Computed tomography of the spine; sagittal reformat; Bone window (WL 400, WW 1800); image 140 mm wide; 12 vertebrae labeled in this scan
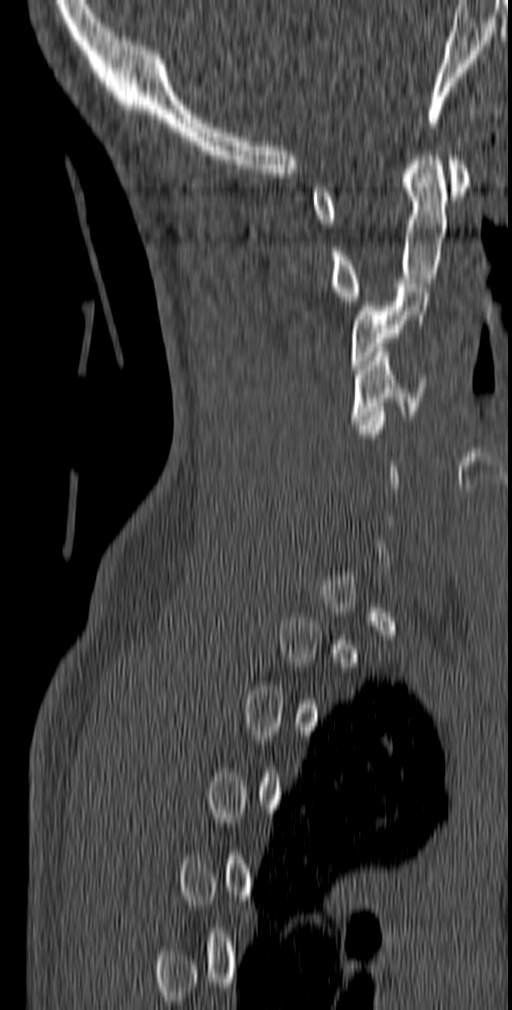

A vertebra gets a box only on the slices from the first to the last where its cross-section is at least a third of its largest; on a slice outside that range it gets none.
<vertebrae><v name="C1" x1="311" y1="155" x2="469" y2="228"/><v name="C2" x1="330" y1="151" x2="447" y2="301"/><v name="C3" x1="351" y1="283" x2="431" y2="369"/><v name="C4" x1="350" y1="347" x2="427" y2="424"/></vertebrae>